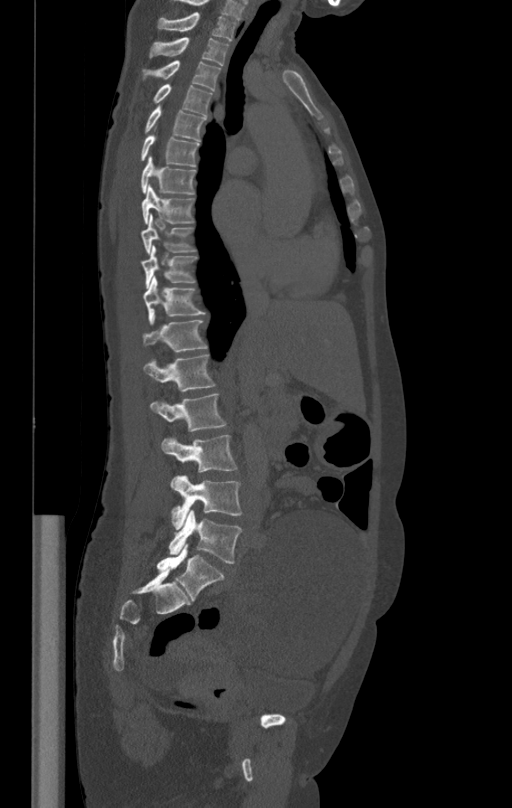
CT, spine; sagittal reformat; the image is 412 mm wide; bone window
Box edges are left/top/right/bottom in pixels.
| vertebra | x1 | y1 | x2 | y2 |
|---|---|---|---|---|
| L5 | 169 | 509 | 242 | 563 |
| L4 | 170 | 475 | 242 | 529 |
| L3 | 161 | 435 | 237 | 472 |
| L2 | 150 | 394 | 226 | 431 |
| L1 | 144 | 353 | 216 | 392 |
| T12 | 143 | 313 | 208 | 351 |
| T11 | 143 | 277 | 205 | 319 |
| T10 | 142 | 246 | 198 | 285 |
| T9 | 142 | 215 | 195 | 253 |
| T8 | 142 | 185 | 194 | 223 |
| T7 | 141 | 157 | 196 | 194 |
| T6 | 141 | 135 | 199 | 167 |
| T5 | 144 | 105 | 205 | 140 |
| T4 | 153 | 84 | 213 | 115 |
| T3 | 142 | 60 | 220 | 91 |
| T2 | 150 | 37 | 229 | 65 |
| T1 | 158 | 12 | 236 | 39 |